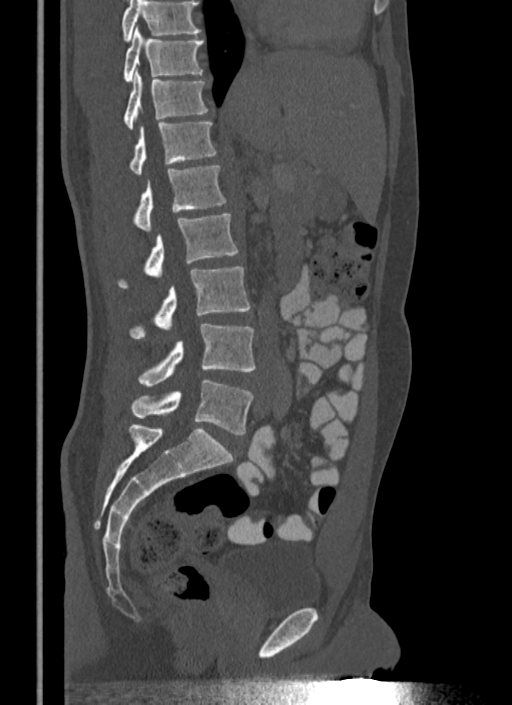
CT spine · sagittal view
Boxes: x1:y1:x2:y2 in pixels.
Vertebrae that run past the top of the scan are left unlabeled.
Vertebra bounding boxes:
- L5: 131:379:253:434
- L4: 138:324:255:386
- L3: 131:267:250:338
- L2: 120:212:238:287
- L1: 135:166:226:231
- T12: 129:122:216:174
- T11: 123:69:208:130
- T10: 123:26:204:82